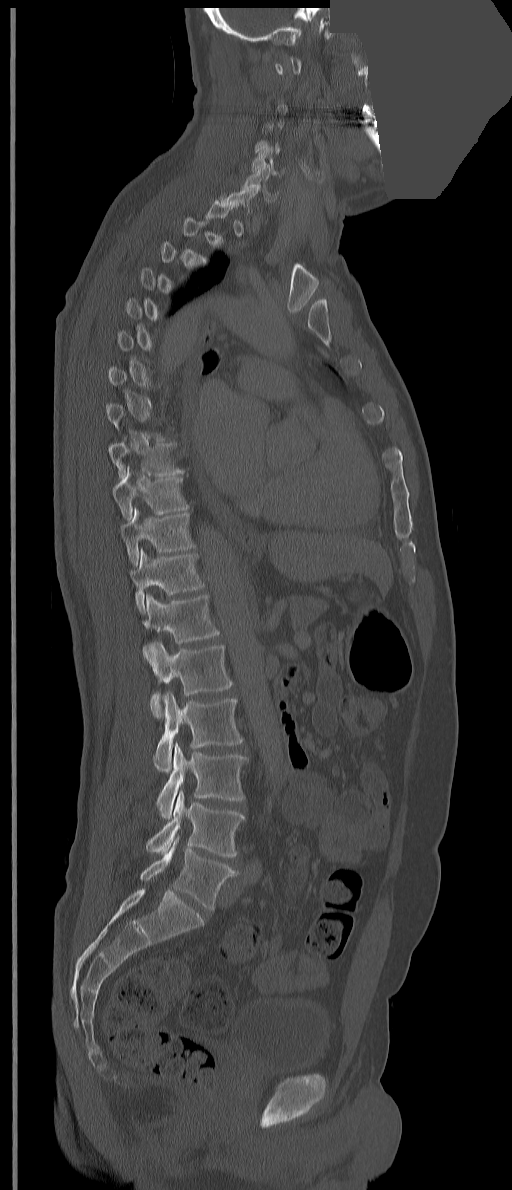
CT spine; sagittal view; Bone window (WL 400, WW 1800); part of the image is a flat gray fill, not anatomy. Boxes are (x1, y1, x2, y2) in pixels. A vertebra is boxed only from the first to the last slice where its cross-section is at least a third of its largest; slices outside that range leave it without a box. The labels name an extra thoracic vertebra here, T13, which comes after T12 and before L1. 12 vertebrae labeled — L5 at (140, 837, 237, 911); L4 at (146, 791, 244, 857); L3 at (156, 743, 247, 819); L2 at (153, 691, 243, 772); L1 at (149, 642, 233, 718); T13 at (142, 593, 219, 658); T12 at (130, 548, 205, 614); T11 at (120, 507, 195, 565); T10 at (113, 467, 189, 520); T9 at (108, 441, 183, 479); C6 at (244, 170, 278, 200); C5 at (251, 146, 277, 175).